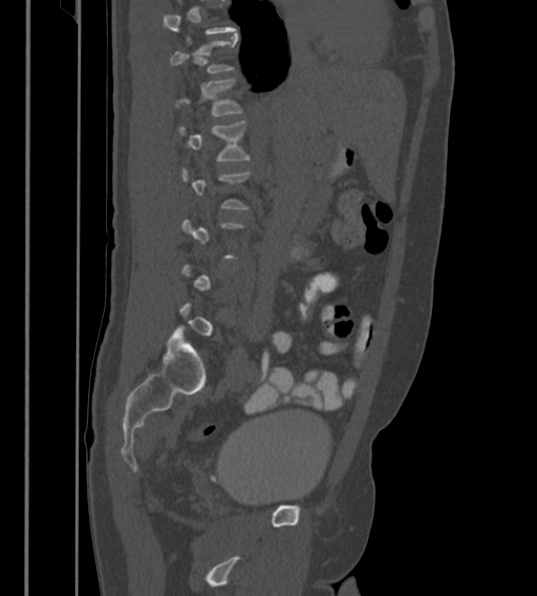

Computed tomography of the spine; sagittal view; 430 mm image width
Boxes are (x1, y1, x2, y2) in pixels.
A vertebra gets a box only on the slices from the first to the last where its cross-section is at least a third of its largest; on a slice outside that range it gets none.
L1: (175, 79, 242, 116)
L2: (178, 121, 249, 161)